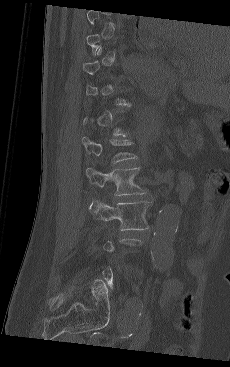 Spine computed tomography. image width 230 mm. sagittal view
Each row gives a vertebra's box as x1, y1, x2, y2 in pixels: top-left corner, then bottom-right corner.
Each vertebra is boxed only on the slices from the first to the last where its cross-section reaches a third of its largest, so a slice outside that range leaves it unboxed.
| vertebra | x1 | y1 | x2 | y2 |
|---|---|---|---|---|
| L1 | 83 | 137 | 137 | 162 |
| L2 | 86 | 167 | 147 | 195 |
| L3 | 90 | 200 | 150 | 230 |